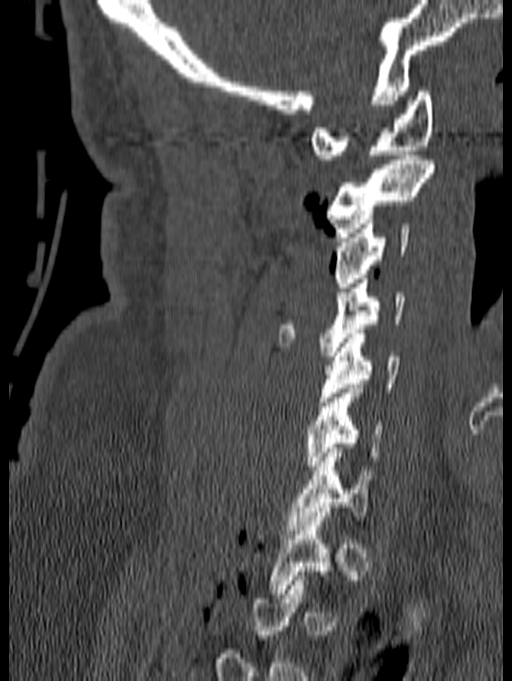 Computed tomography of the spine · sagittal view · Bone window (WL 400, WW 1800) · 512x681 px
A vertebra gets a box only on the slices from the first to the last where its cross-section is at least a third of its largest; on a slice outside that range it gets none.
<vertebrae><v name="C7" x1="286" y1="443" x2="377" y2="534"/><v name="C6" x1="305" y1="384" x2="382" y2="470"/><v name="C5" x1="318" y1="329" x2="399" y2="401"/><v name="C4" x1="278" y1="274" x2="404" y2="356"/><v name="C3" x1="334" y1="219" x2="410" y2="287"/><v name="C2" x1="327" y1="155" x2="436" y2="237"/><v name="C1" x1="310" y1="91" x2="434" y2="159"/></vertebrae>